CT · sagittal view · W/L 1800/400 HU · 401 mm wide · 512x677 px · scan covers 10 annotated vertebrae
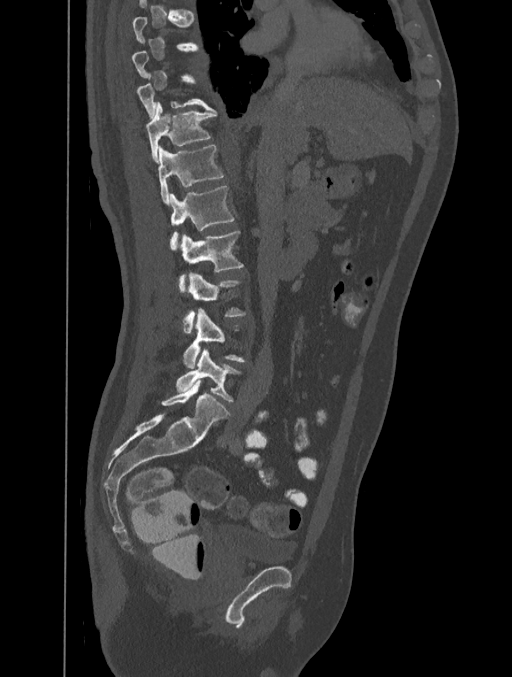

A vertebra gets a box only on the slices from the first to the last where its cross-section is at least a third of its largest; on a slice outside that range it gets none.
<vertebrae><v name="L5" x1="176" y1="348" x2="240" y2="401"/><v name="L4" x1="184" y1="308" x2="244" y2="368"/><v name="L3" x1="184" y1="272" x2="244" y2="332"/><v name="L2" x1="179" y1="231" x2="243" y2="291"/><v name="L1" x1="170" y1="185" x2="234" y2="250"/><v name="T12" x1="158" y1="145" x2="224" y2="205"/><v name="T11" x1="145" y1="102" x2="216" y2="163"/></vertebrae>